Computed tomography of the spine. sagittal view. part of the image is constant black where the scan was masked
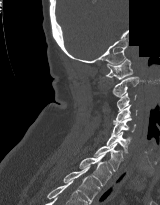

Each box given as x1,y1,x2,y2.
| vertebra | x1 | y1 | x2 | y2 |
|---|---|---|---|---|
| C1 | 106 | 58 | 132 | 79 |
| C2 | 112 | 76 | 138 | 97 |
| C3 | 117 | 92 | 136 | 112 |
| C4 | 113 | 105 | 137 | 123 |
| C5 | 112 | 118 | 136 | 135 |
| C6 | 106 | 131 | 131 | 153 |
| C7 | 93 | 143 | 123 | 171 |
| T1 | 79 | 154 | 112 | 186 |
| T2 | 63 | 167 | 100 | 203 |